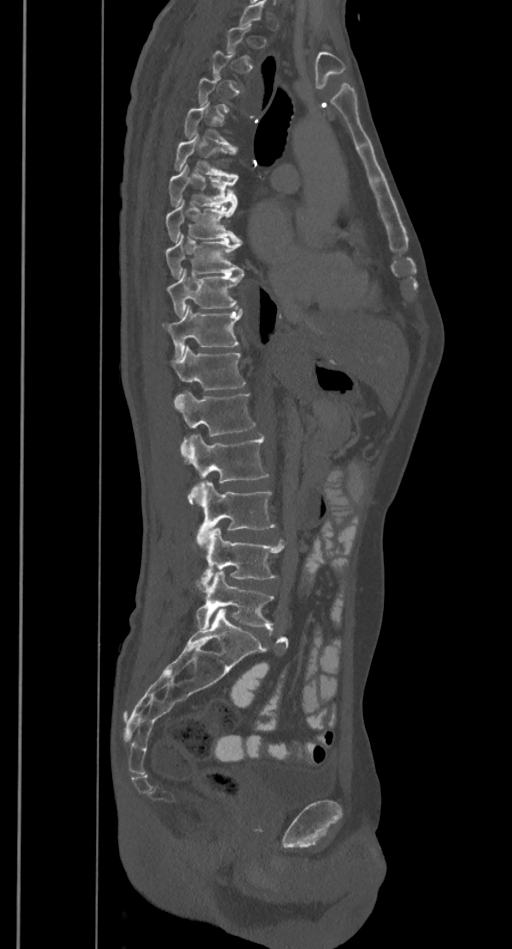 CT spine; sagittal view

Coordinates as <box>x1,y1,x2,y2</box>.
A vertebra is boxed only from the first to the last slice where its cross-section is at least a third of its largest; slices outside that range leave it without a box.
T5: <box>183,101,236,150</box>
T6: <box>174,134,238,177</box>
T7: <box>169,165,238,206</box>
T8: <box>166,199,241,242</box>
T9: <box>165,233,243,278</box>
T10: <box>167,268,244,316</box>
T11: <box>163,305,242,358</box>
T12: <box>171,346,246,389</box>
L1: <box>175,390,255,456</box>
L2: <box>182,434,269,502</box>
L3: <box>197,481,275,541</box>
L4: <box>197,528,285,590</box>
L5: <box>195,571,274,629</box>